Spine computed tomography — Sagittal slice 276/512 — the image spans 322 mm across — bone window — scan covers 12 annotated vertebrae
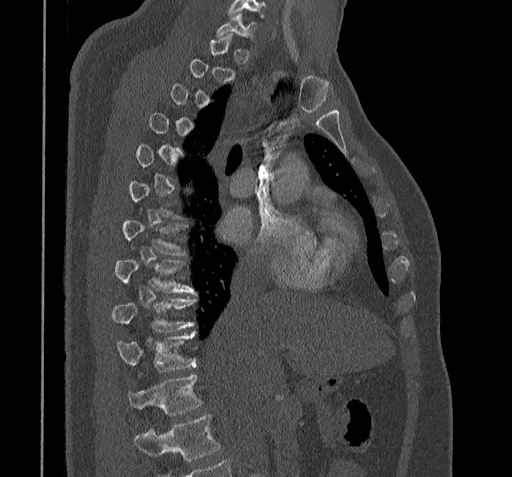

Each vertebra is boxed only on the slices from the first to the last where its cross-section reaches a third of its largest, so a slice outside that range leaves it unboxed.
Vertebrae that run past the bottom of the scan are left unlabeled.
<vertebrae><v name="C7" x1="216" y1="13" x2="256" y2="38"/><v name="T8" x1="113" y1="259" x2="194" y2="294"/><v name="T9" x1="111" y1="299" x2="194" y2="331"/><v name="T10" x1="116" y1="332" x2="196" y2="371"/><v name="T11" x1="128" y1="375" x2="201" y2="415"/></vertebrae>